Computed tomography of the spine — sagittal plane, index 292 — the image spans 461 mm across — bone window — 512x759 px — 17 vertebrae labeled in this scan
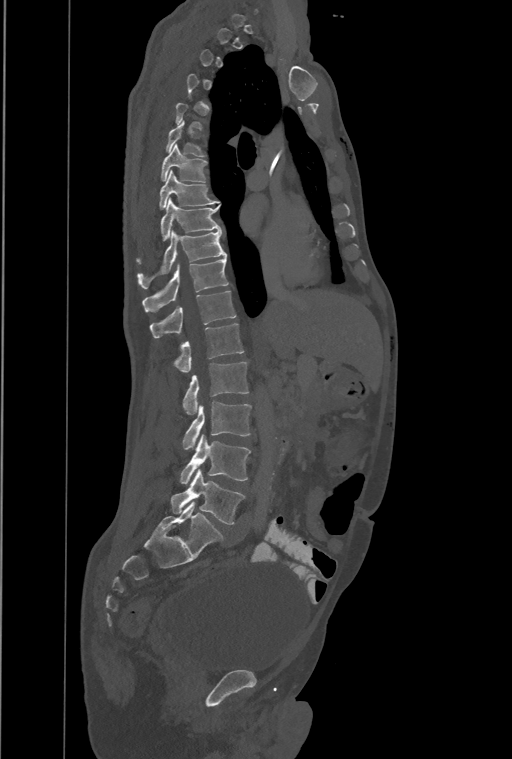
Each box given as x1,y1,x2,y2.
Not every vertebra on this slice has a box: a vertebra is boxed only from the first to the last slice where its cross-section is at least a third of its largest, and this slice is outside that range for at least one of them.
This scan's labels start at T1 at the top and end at L4 at the bottom.
These labels give the spine a thirteenth thoracic vertebra: T13 sits between T12 and L1.
| vertebra | x1 | y1 | x2 | y2 |
|---|---|---|---|---|
| T6 | 166 | 120 | 206 | 156 |
| T7 | 161 | 144 | 207 | 181 |
| T8 | 158 | 170 | 219 | 208 |
| T9 | 136 | 198 | 221 | 264 |
| T10 | 137 | 230 | 226 | 288 |
| T11 | 143 | 257 | 228 | 311 |
| T12 | 150 | 290 | 236 | 337 |
| T13 | 174 | 324 | 244 | 373 |
| L1 | 183 | 361 | 248 | 415 |
| L2 | 183 | 401 | 251 | 449 |
| L3 | 181 | 434 | 251 | 484 |
| L4 | 171 | 469 | 244 | 524 |